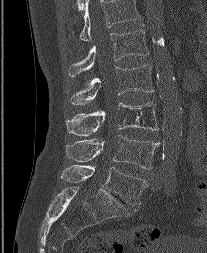
Spine computed tomography. sagittal reformat. 207x253 px
Bounding boxes as [x1, y1, x2, y2] in pixel coordinates.
This scan's labels start at L1 at the top and end at L5 at the bottom.
L1: [68, 28, 149, 76]
L2: [69, 64, 153, 105]
L3: [66, 102, 158, 136]
L4: [66, 135, 159, 169]
L5: [61, 165, 145, 205]